Spine CT. image 146 mm wide. sagittal plane, index 92. 8 vertebrae labeled in this scan
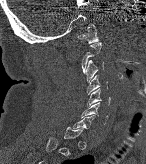 Each vertebra maps to its box as [x1, y1, x2, y2], the pixel coordinates of its top-left and bottom-right corners.
A vertebra gets a box only on the slices from the first to the last where its cross-section is at least a third of its largest; on a slice outside that range it gets none.
{"vertebrae":{"C1":[77,24,99,44],"C3":[83,60,103,81],"C4":[87,75,107,94],"C5":[87,88,110,107],"C6":[81,102,107,124]}}